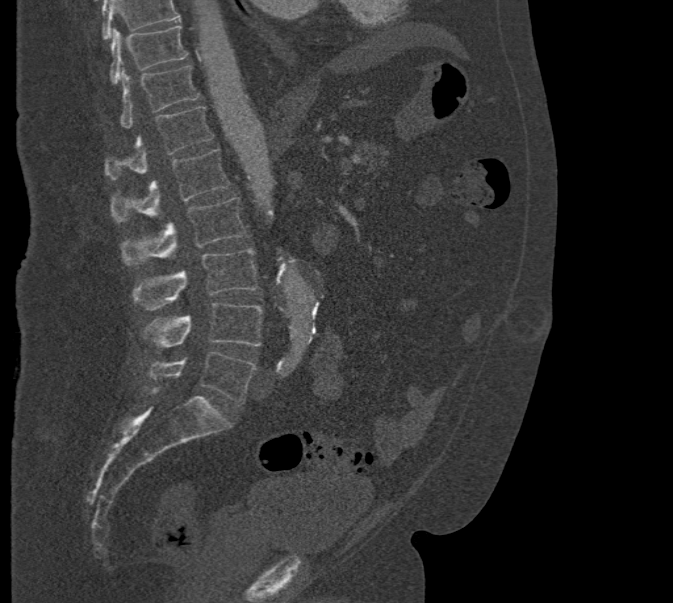
Spine CT; image 471 mm wide; sagittal reformat; 673x603 px. Boxes: x1:y1:x2:y2 in pixels. Where the top of the scan cuts through a vertebra, that vertebra gets no label or box. 8 vertebrae labeled — T10 at 110:26:187:84; T11 at 120:65:199:128; T12 at 105:106:213:179; L1 at 112:149:230:221; L2 at 121:198:246:264; L3 at 133:249:258:309; L4 at 142:303:262:354; L5 at 147:352:257:404.